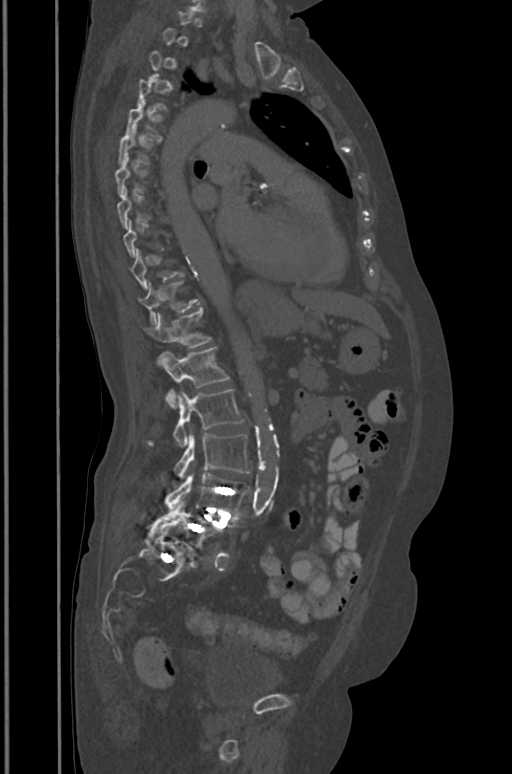
Computed tomography of the spine — sagittal view — Bone window (WL 400, WW 1800). Coordinates as <box>x1,y1,x2,y2</box>. A vertebra is boxed only from the first to the last slice where its cross-section is at least a third of its largest; slices outside that range leave it without a box. 11 vertebrae labeled — T5 at <box>126,101,164,139</box>; T6 at <box>118,127,153,164</box>; T7 at <box>115,155,148,195</box>; T10 at <box>131,248,184,288</box>; T11 at <box>143,281,198,325</box>; T12 at <box>147,308,211,365</box>; L1 at <box>162,347,230,407</box>; L2 at <box>147,389,243,447</box>; L3 at <box>173,432,249,477</box>; L4 at <box>165,473,249,514</box>; L5 at <box>150,502,224,550</box>.